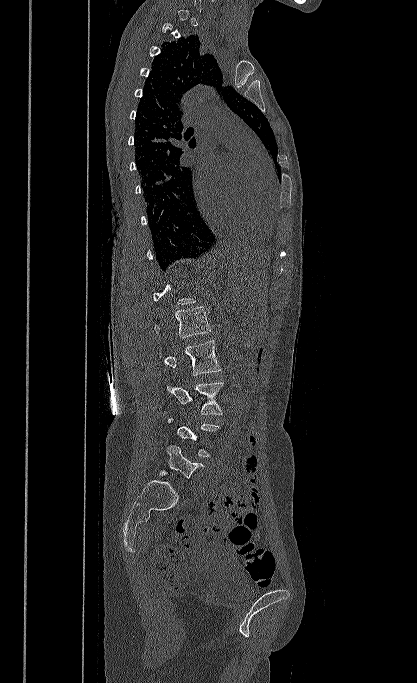

Spine CT; sagittal view

Boxes are given in columns x1, y1, x2, y2, the pixel coordinates of their top-left and bottom-right corners.
Each vertebra is boxed only on the slices from the first to the last where its cross-section reaches a third of its largest, so a slice outside that range leaves it unboxed.
| vertebra | x1 | y1 | x2 | y2 |
|---|---|---|---|---|
| L5 | 160 | 444 | 204 | 478 |
| L3 | 167 | 382 | 224 | 414 |
| L2 | 159 | 340 | 221 | 375 |
| L1 | 154 | 307 | 211 | 338 |